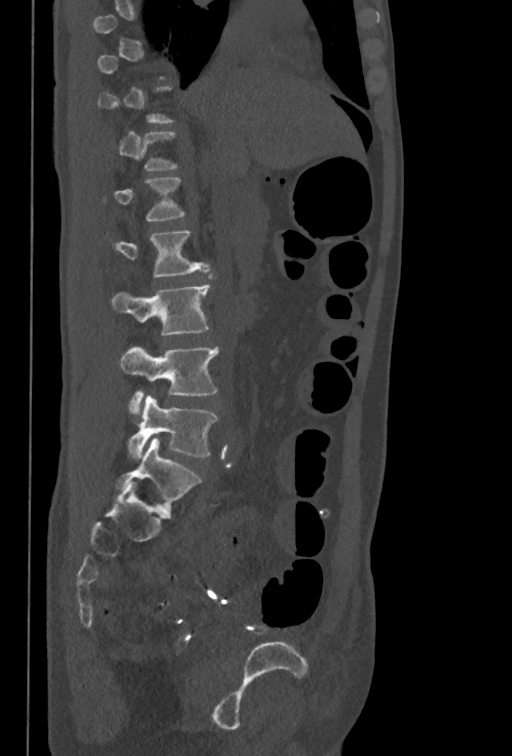 Computed tomography of the spine. sagittal view. 512x756 px
Each box is [x1, y1, x2, y2] in pixels: top-left corner, then bottom-right corner.
A vertebra gets a box only on the slices from the first to the last where its cross-section is at least a third of its largest; on a slice outside that range it gets none.
{"vertebrae":{"L1":[104,178,186,222],"L2":[107,230,209,277],"L3":[111,284,211,335],"L4":[120,346,220,414],"L5":[126,395,218,458]}}